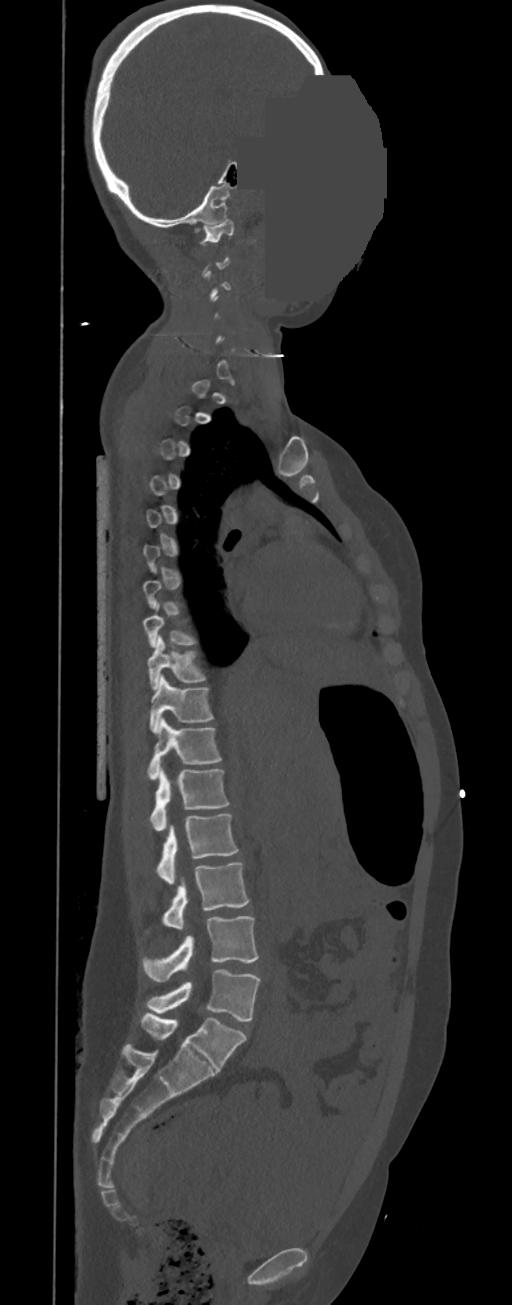

CT, spine; sagittal view; bone window; a portion of the image is blanked out (constant pixel value)
Boxes below are [x1, y1, x2, y2] in pixels.
A vertebra is boxed only from the first to the last slice where its cross-section is at least a third of its largest; slices outside that range leave it without a box.
In these labels the thoracic vertebrae end at T11, so L1 follows T11.
{"vertebrae":{"C1":[200,219,233,243],"T8":[142,606,195,647],"T9":[148,636,205,690],"T10":[149,675,212,734],"T11":[148,718,221,780],"L1":[150,769,228,831],"L2":[156,814,239,884],"L3":[164,862,249,929],"L4":[143,916,258,981],"L5":[146,970,259,1022]}}